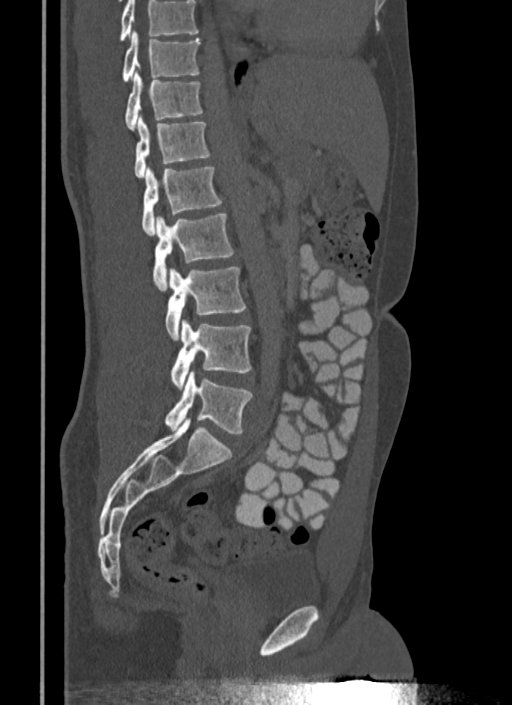 CT — 340 mm image width — sagittal view — W/L 1800/400 HU
Columns x1, y1, x2, y2 give each box's top-left and bottom-right pixels.
No box is given to a vertebra that the top edge of the scan cuts off.
| vertebra | x1 | y1 | x2 | y2 |
|---|---|---|---|---|
| T10 | 122 | 32 | 201 | 82 |
| T11 | 125 | 72 | 202 | 130 |
| T12 | 134 | 116 | 211 | 177 |
| L1 | 141 | 166 | 222 | 235 |
| L2 | 153 | 212 | 234 | 290 |
| L3 | 165 | 267 | 246 | 339 |
| L4 | 170 | 319 | 252 | 388 |
| L5 | 164 | 372 | 252 | 434 |